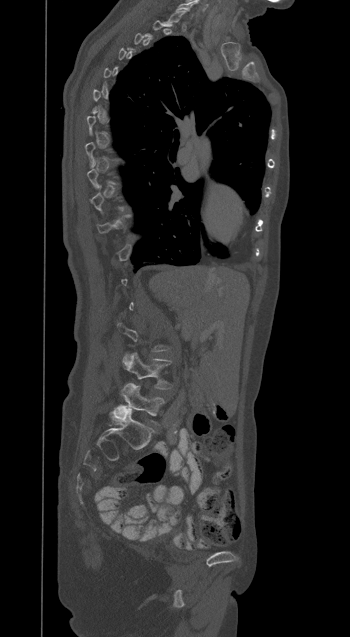

CT spine; sagittal view. Each box given as x1,y1,x2,y2.
A vertebra is boxed only from the first to the last slice where its cross-section is at least a third of its largest; slices outside that range leave it without a box.
| vertebra | x1 | y1 | x2 | y2 |
|---|---|---|---|---|
| L5 | 121 | 383 | 164 | 423 |
| L4 | 123 | 352 | 171 | 389 |